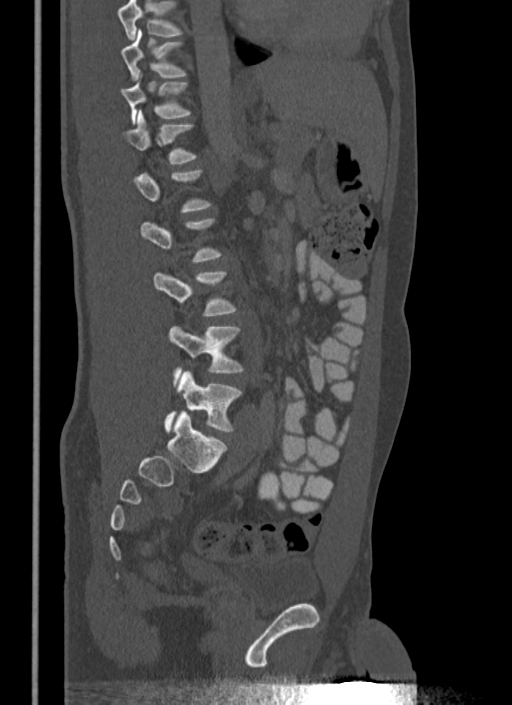 Spine computed tomography; sagittal view
Not every vertebra on this slice has a box: a vertebra is boxed only from the first to the last slice where its cross-section is at least a third of its largest, and this slice is outside that range for at least one of them.
Vertebrae that run past the top of the scan are left unlabeled.
<vertebrae><v name="L5" x1="164" y1="372" x2="241" y2="431"/><v name="L4" x1="168" y1="327" x2="243" y2="377"/><v name="L3" x1="153" y1="271" x2="235" y2="315"/><v name="T12" x1="122" y1="111" x2="196" y2="163"/><v name="T11" x1="120" y1="81" x2="190" y2="124"/><v name="T10" x1="120" y1="30" x2="185" y2="79"/></vertebrae>